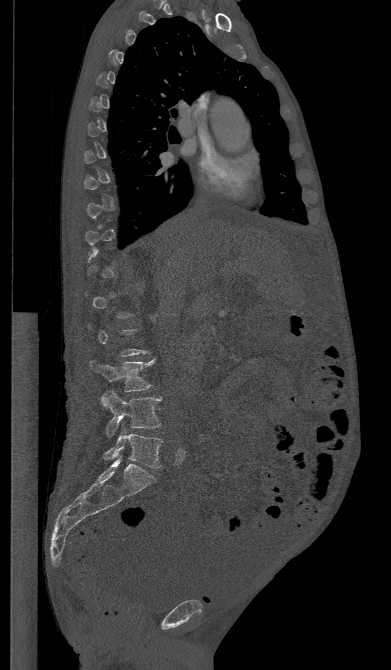
Spine computed tomography. sagittal view. bone window

Boxes: x1 y1 x2 y2 (pixel coords, space-separated).
Not every vertebra on this slice has a box: a vertebra is boxed only from the first to the last slice where its cross-section is at least a third of its largest, and this slice is outside that range for at least one of them.
Vertebra bounding boxes:
- L3: 91 359 155 391
- L4: 101 390 161 436
- L5: 104 427 162 468